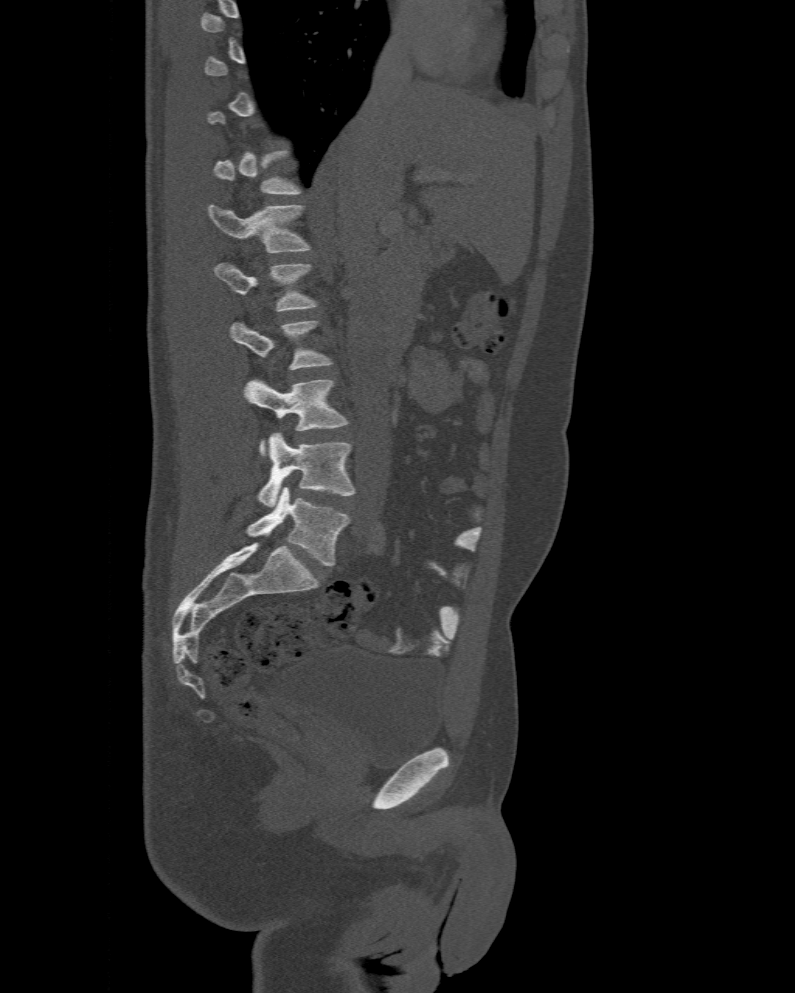
CT · sagittal view · bone-window reconstruction
Each vertebra is boxed only on the slices from the first to the last where its cross-section reaches a third of its largest, so a slice outside that range leaves it unboxed.
In these labels the spine has an L6, a sixth lumbar vertebra below L5.
<vertebrae><v name="L1" x1="208" y1="205" x2="311" y2="252"/><v name="L2" x1="213" y1="262" x2="317" y2="311"/><v name="L3" x1="230" y1="320" x2="333" y2="369"/><v name="L4" x1="244" y1="378" x2="347" y2="456"/><v name="L5" x1="258" y1="432" x2="356" y2="508"/><v name="L6" x1="247" y1="487" x2="348" y2="566"/></vertebrae>